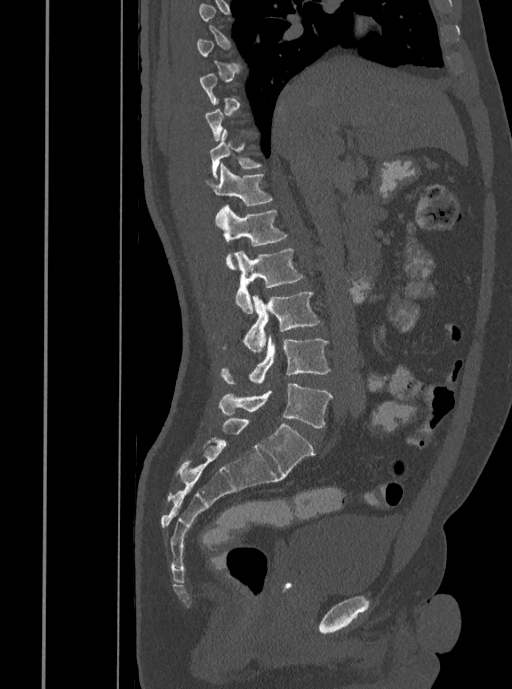 Computed tomography of the spine. the image is 408 mm wide. sagittal view
Each vertebra is boxed only on the slices from the first to the last where its cross-section reaches a third of its largest, so a slice outside that range leaves it unboxed.
<vertebrae><v name="L5" x1="218" y1="383" x2="333" y2="427"/><v name="L4" x1="220" y1="337" x2="330" y2="384"/><v name="L3" x1="221" y1="291" x2="320" y2="351"/><v name="L2" x1="234" y1="248" x2="304" y2="313"/><v name="L1" x1="216" y1="204" x2="287" y2="269"/><v name="T12" x1="205" y1="163" x2="274" y2="206"/><v name="T11" x1="211" y1="129" x2="262" y2="179"/></vertebrae>